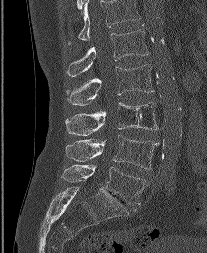

CT · sagittal view
Boxes: x1:y1:x2:y2 in pixels.
This scan's labels start at L1 at the top and end at L5 at the bottom.
Vertebra bounding boxes:
- L5: 62:165:145:205
- L4: 66:135:159:169
- L3: 65:102:157:135
- L2: 65:64:153:105
- L1: 66:25:149:76